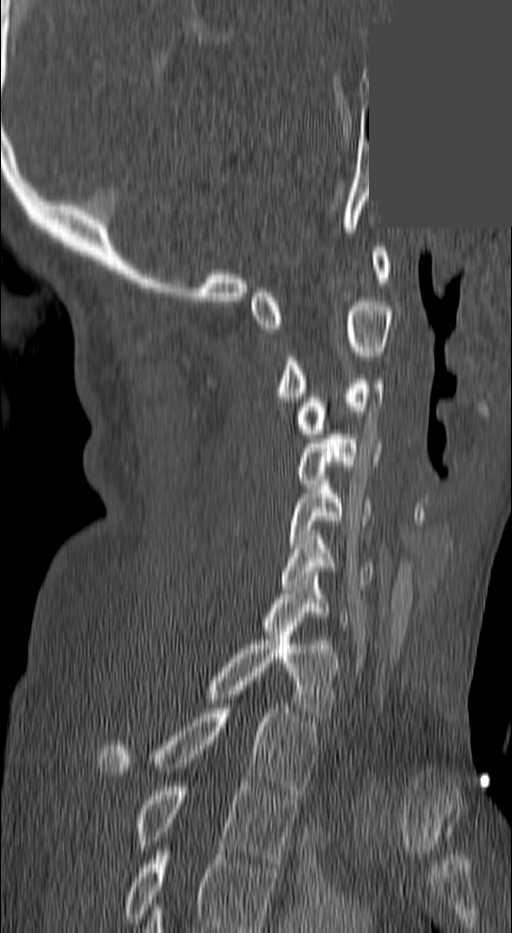

Computed tomography of the spine — sagittal view — Bone window (WL 400, WW 1800) — a region is masked with a constant gray value

Each vertebra maps to its box as [x1, y1, x2, y2], the pixel coordinates of its top-left and bottom-right corners.
In this scan, the topmost labeled vertebra is C1 and the lowest is T3.
{"vertebrae":{"C1":[250,247,392,328],"C2":[272,302,392,401],"C3":[296,375,384,438],"C4":[294,434,381,484],"C5":[287,480,370,548],"C6":[279,535,373,589],"C7":[257,576,348,630],"T1":[202,631,337,721],"T2":[96,709,319,794],"T3":[133,782,297,863]}}